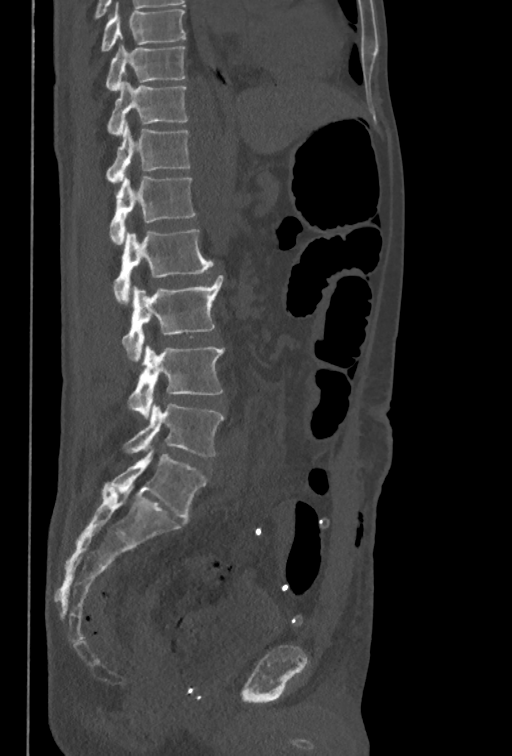 CT spine · 350 mm image width · sagittal view

Bounding boxes as [x1, y1, x2, y2] in pixel coordinates.
This scan's labels start at T10 at the top and end at L5 at the bottom.
Vertebra bounding boxes:
- T10: [105, 45, 186, 91]
- T11: [107, 82, 187, 135]
- T12: [105, 122, 190, 183]
- L1: [108, 176, 196, 244]
- L2: [112, 229, 213, 304]
- L3: [123, 275, 223, 361]
- L4: [127, 345, 224, 419]
- L5: [122, 403, 224, 456]